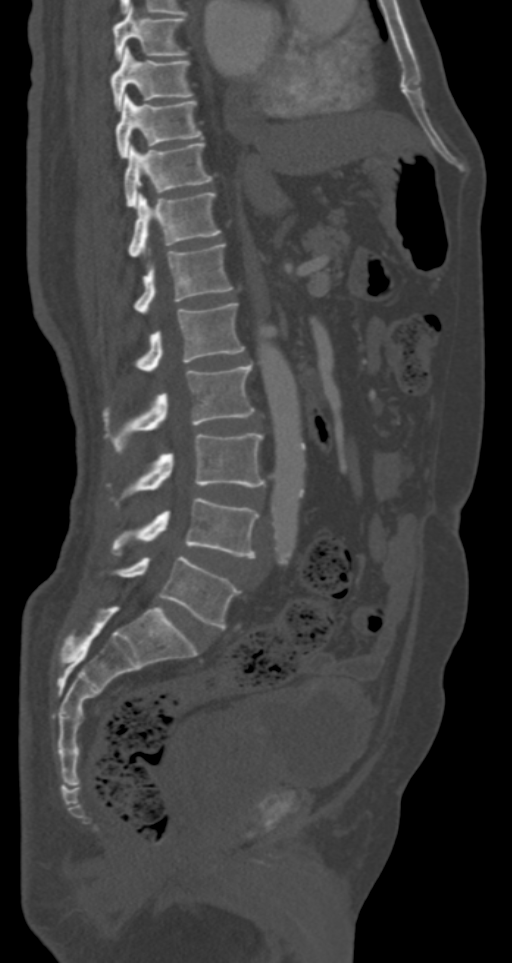
Spine computed tomography; sagittal view; W/L 1800/400 HU; 512x963 px
Box values are [left, top, right, bottom] in pixels.
{"vertebrae":{"T7":[114,6,186,61],"T8":[110,46,193,111],"T9":[116,94,202,158],"T10":[124,142,213,208],"T11":[128,192,220,257],"T12":[133,244,232,312],"L1":[135,303,245,371],"L2":[103,363,254,454],"L3":[123,433,264,496],"L4":[110,497,259,557],"L5":[114,556,239,628]}}